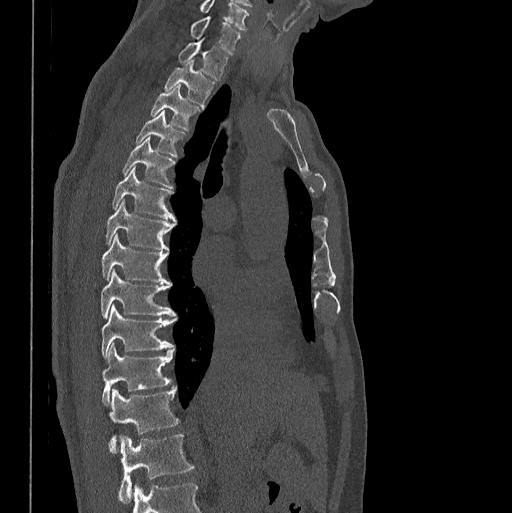 CT. sagittal view. bone-window reconstruction

Box values are [left, top, right, bottom] in pixels.
This scan's labels start at C7 at the top and end at L1 at the bottom.
{"vertebrae":{"C7":[190,16,239,53],"T1":[179,39,227,80],"T2":[165,60,214,107],"T3":[150,85,197,130],"T4":[136,110,183,155],"T5":[123,138,174,187],"T6":[113,167,175,221],"T7":[105,200,175,249],"T8":[101,234,169,283],"T9":[100,270,175,317],"T10":[101,304,175,358],"T11":[101,344,173,404],"T12":[108,386,178,452],"L1":[118,434,193,503]}}